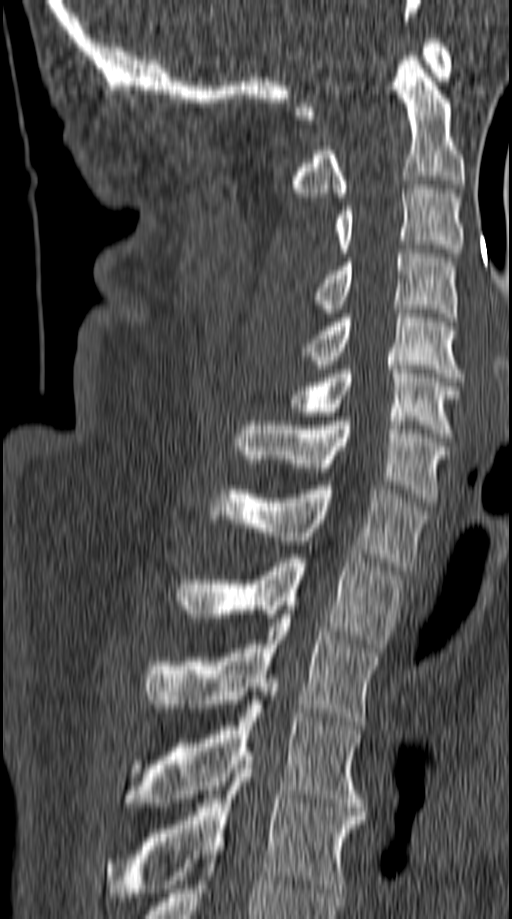
CT spine · sagittal reformat · the image is 149 mm wide · bone-window reconstruction
Boxes below are [x1, y1, x2, y2] in pixels.
{"vertebrae":{"C1":[293,39,451,119],"C2":[291,56,464,197],"C3":[335,185,464,257],"C4":[314,249,457,321],"C5":[303,305,466,381],"C6":[286,365,461,441],"C7":[235,417,450,502],"T1":[207,481,426,570],"T2":[180,554,402,652],"T3":[142,614,378,725],"T4":[128,692,364,811],"T5":[107,756,365,901]}}